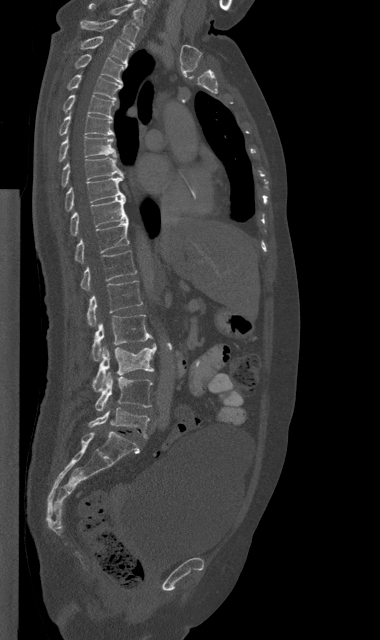 CT; sagittal reformat; image width 380 mm
Coordinates as <box>x1,y1,x2,y2</box>.
L5: <box>88,407,149,438</box>
L4: <box>95,372,152,410</box>
L3: <box>92,344,156,391</box>
L2: <box>92,314,152,361</box>
L1: <box>87,281,142,325</box>
T12: <box>80,251,136,290</box>
T11: <box>74,220,129,262</box>
T10: <box>70,198,128,235</box>
T9: <box>65,175,125,211</box>
T8: <box>61,157,123,187</box>
T7: <box>59,136,116,161</box>
T6: <box>59,115,113,135</box>
T5: <box>63,95,113,118</box>
T4: <box>67,75,122,101</box>
T3: <box>75,54,127,84</box>
T2: <box>80,35,133,65</box>
T1: <box>80,19,138,45</box>
C7: <box>88,3,143,23</box>